CT; sagittal view
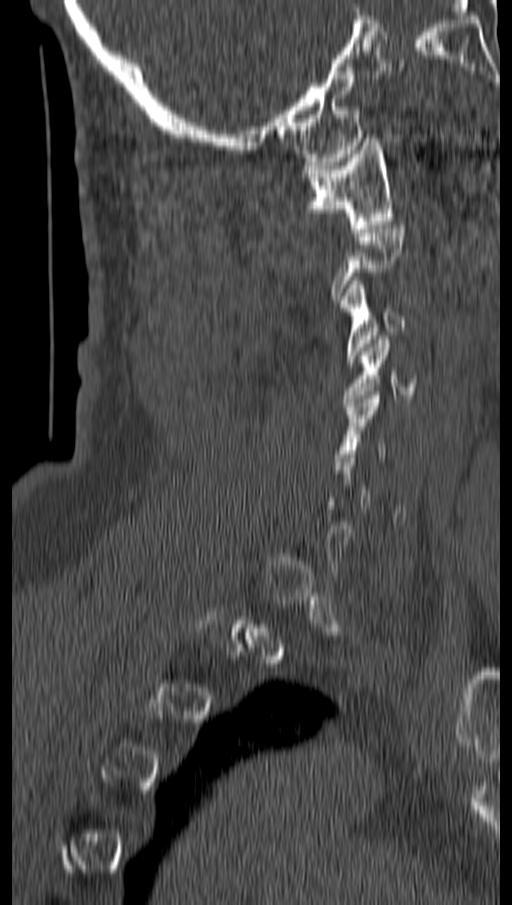 Boxes below are [x1, y1, x2, y2] in pixels.
Not every vertebra on this slice has a box: a vertebra is boxed only from the first to the last slice where its cross-section is at least a third of its largest, and this slice is outside that range for at least one of them.
{"vertebrae":{"C1":[302,138,392,232],"C3":[339,280,408,362],"C4":[342,336,416,406],"C5":[333,391,387,469]}}